Computed tomography of the spine — sagittal plane, index 54 — bone window — 160x205 px — some of the image was removed or blocked out with constant pixels
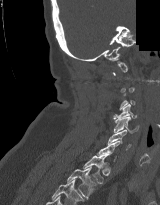

Boxes: x1:y1:x2:y2 in pixels.
A vertebra gets a box only on the slices from the first to the last where its cross-section is at least a third of its largest; on a slice outside that range it gets none.
C4: 113:104:136:120
C5: 114:117:139:133
C6: 107:129:131:150
T1: 83:155:109:183
T2: 66:167:96:199